Spine CT. image width 140 mm. sagittal view
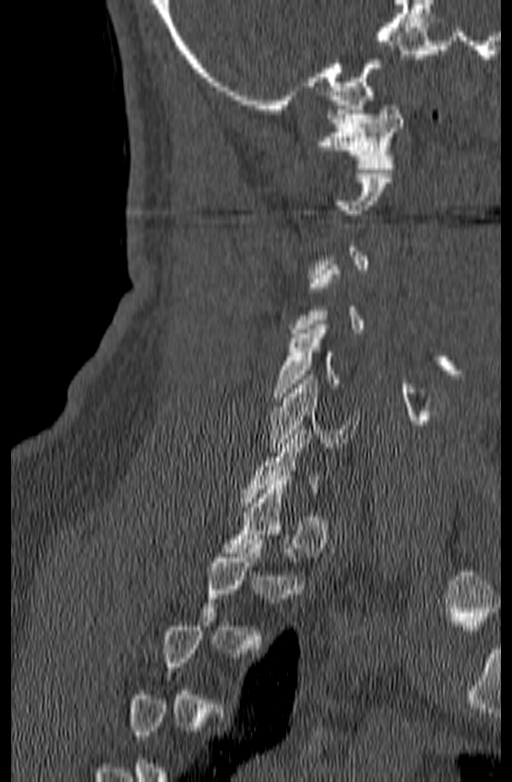

Bounding boxes as [x1, y1, x2, y2] in pixel coordinates. A vertebra is boxed only from the first to the last slice where its cross-section is at least a third of its largest; slices outside that range leave it without a box. 3 vertebrae labeled — C1 at [316, 105, 403, 168]; C5 at [272, 325, 340, 401]; C6 at [268, 375, 359, 452].